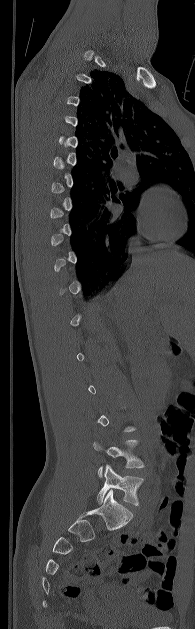 CT, spine; sagittal view; 195x629 px
Boxes are (x1, y1, x2, y2) in pixels.
A vertebra is boxed only from the first to the last slice where its cross-section is at least a third of its largest; slices outside that range leave it without a box.
Vertebra bounding boxes:
- L4: (93, 440, 144, 477)
- L5: (97, 464, 143, 505)